CT spine — image width 471 mm — sagittal reformat
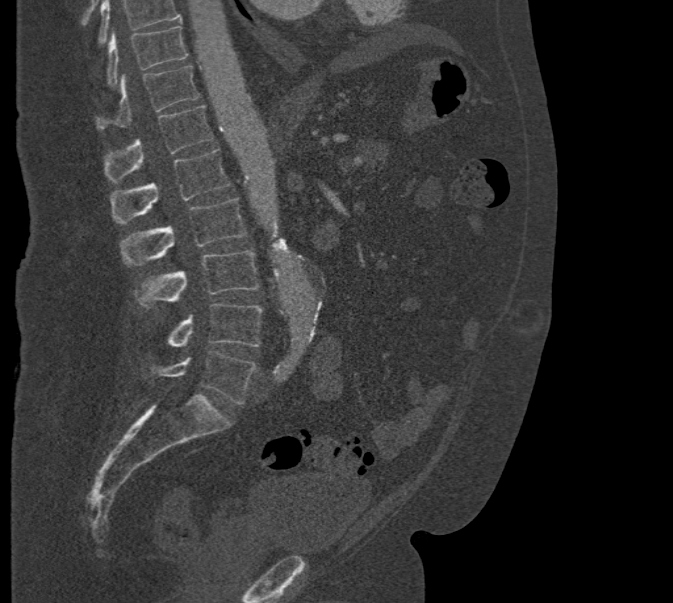 No box is given to a vertebra that the top edge of the scan cuts off.
<vertebrae><v name="L5" x1="151" y1="352" x2="257" y2="404"/><v name="L4" x1="167" y1="303" x2="262" y2="347"/><v name="L3" x1="134" y1="250" x2="259" y2="308"/><v name="L2" x1="120" y1="198" x2="246" y2="265"/><v name="L1" x1="110" y1="149" x2="230" y2="224"/><v name="T12" x1="104" y1="105" x2="213" y2="182"/><v name="T11" x1="96" y1="65" x2="199" y2="129"/><v name="T10" x1="106" y1="26" x2="187" y2="85"/></vertebrae>